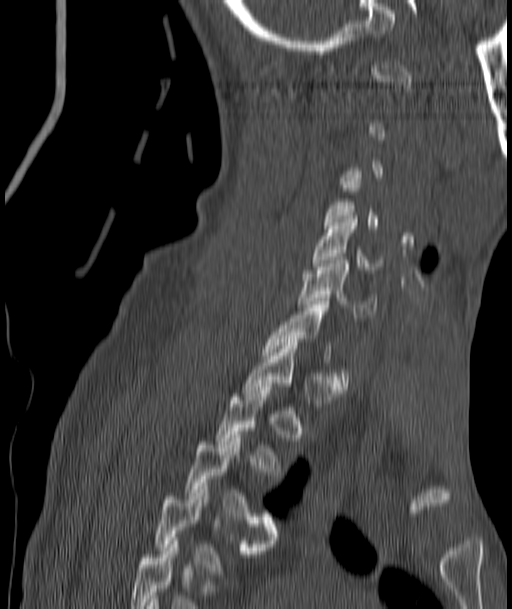

Computed tomography of the spine; sagittal view; 512x609 px

Boxes: x1 y1 x2 y2 (pixel coords, space-separated). A vertebra gets a box only on the slices from the first to the last where its cross-section is at least a third of its largest; on a slice outside that range it gets none. The highest labeled vertebra in this scan is C1; the lowest is T4. 4 vertebrae labeled — T4 at 154 483 263 574; T3 at 184 435 276 543; C6 at 299 260 377 317; C5 at 313 216 380 273.